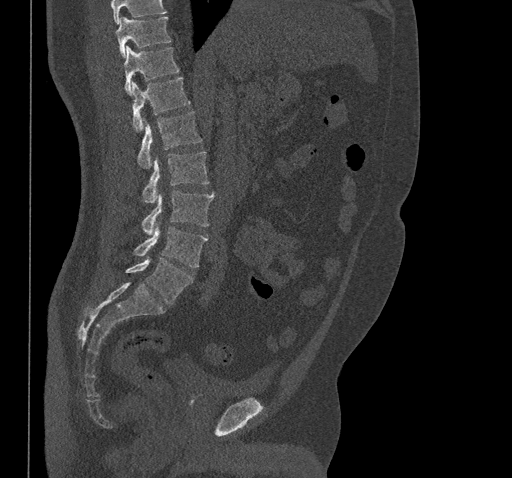

Spine computed tomography · sagittal view · 461 mm image width
Box values are [left, top, right, bottom] in pixels.
Where the top of the scan cuts through a vertebra, that vertebra gets no label or box.
{"vertebrae":{"L5":[125,257,193,304],"L4":[134,224,207,267],"L3":[142,190,214,235],"L2":[142,151,208,203],"L1":[138,111,202,168],"T12":[132,77,189,131],"T11":[123,46,178,94],"T10":[114,17,171,56]}}